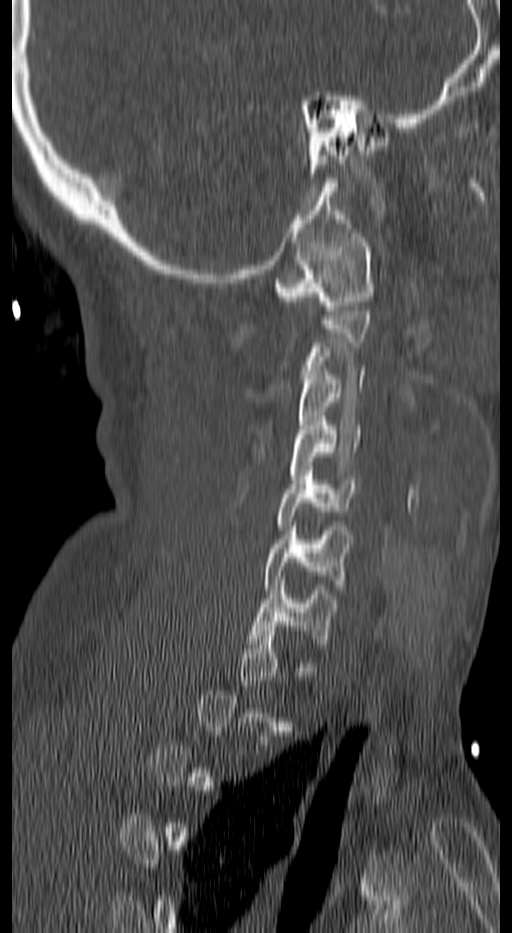 Spine CT — image width 140 mm — sagittal view — Bone window (WL 400, WW 1800)
A vertebra is boxed only from the first to the last slice where its cross-section is at least a third of its largest; slices outside that range leave it without a box.
<vertebrae><v name="C1" x1="276" y1="233" x2="373" y2="310"/><v name="C3" x1="297" y1="366" x2="366" y2="438"/><v name="C4" x1="290" y1="416" x2="359" y2="479"/><v name="C5" x1="276" y1="466" x2="355" y2="529"/><v name="C6" x1="265" y1="526" x2="348" y2="593"/><v name="C7" x1="250" y1="581" x2="337" y2="648"/></vertebrae>